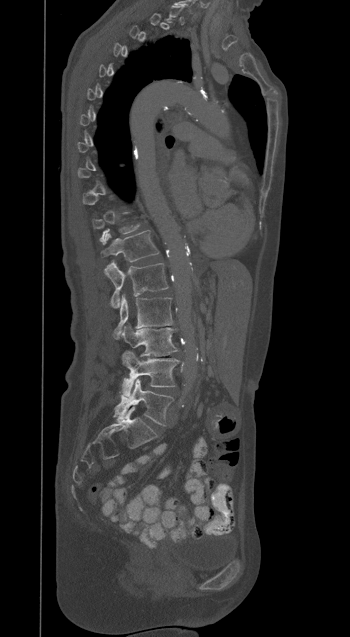 CT spine; sagittal view; 350 mm wide; 350x637 px
Bounding boxes as [x1, y1, x2, y2] in pixel coordinates. Not every vertebra on this slice has a box: a vertebra is boxed only from the first to the last slice where its cross-section is at least a third of its largest, and this slice is outside that range for at least one of them. 6 vertebrae labeled — T12 at [101, 231, 159, 261]; L1 at [104, 262, 168, 308]; L2 at [114, 295, 172, 338]; L3 at [122, 324, 177, 355]; L4 at [121, 351, 179, 396]; L5 at [114, 379, 173, 425].